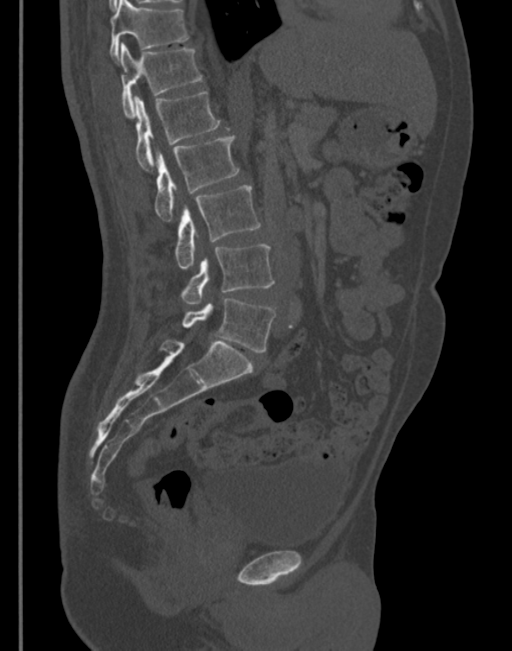
Computed tomography of the spine — sagittal view — bone-window reconstruction — 512x651 px. Boxes: x1:y1:x2:y2 in pixels.
T11: 110:0:189:60
T12: 120:43:202:117
L1: 135:91:220:169
L2: 154:135:239:220
L3: 175:185:260:269
L4: 181:245:275:304
L5: 176:298:275:352